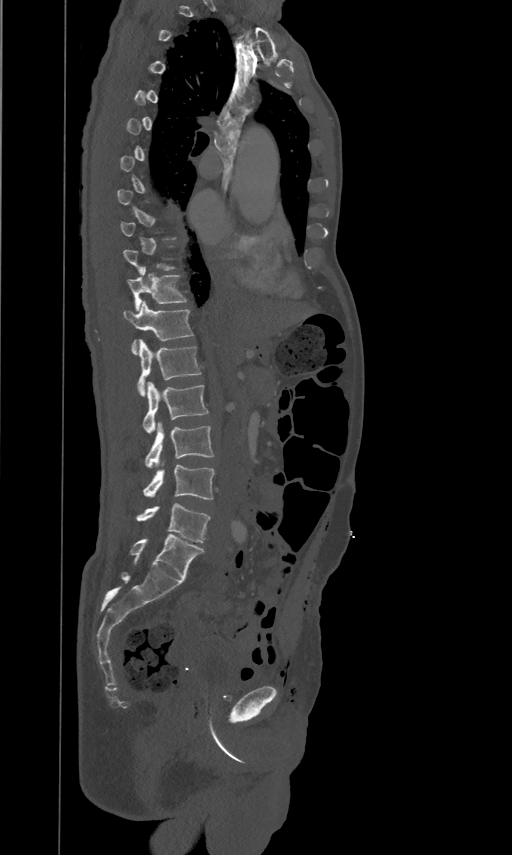 CT — sagittal view — image 461 mm wide — 512x855 px
Box values are [left, top, right, bottom] in pixels.
Not every vertebra on this slice has a box: a vertebra is boxed only from the first to the last slice where its cross-section is at least a third of its largest, and this slice is outside that range for at least one of them.
{"vertebrae":{"L5":[136,503,210,542],"L4":[143,465,214,500],"L3":[145,422,214,467],"L2":[143,381,207,433],"L1":[137,339,201,396],"T12":[123,300,193,353],"T11":[128,266,187,310]}}